Spine CT; sagittal view
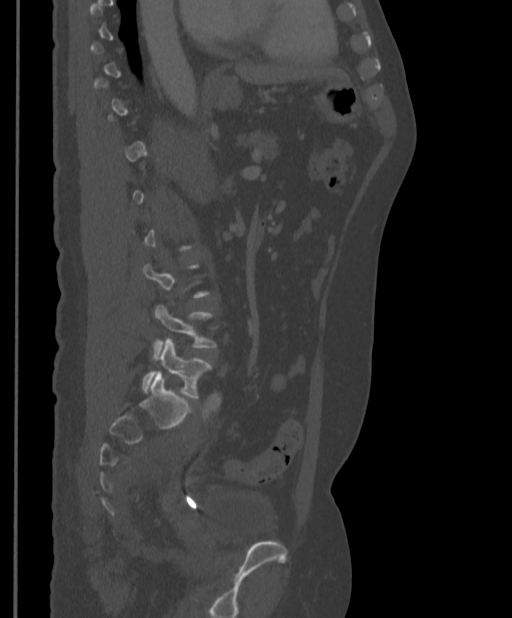 Bounding boxes as [x1, y1, x2, y2] in pixel coordinates. A vertebra is boxed only from the first to the last slice where its cross-section is at least a third of its largest; slices outside that range leave it without a box. The labeled vertebrae in this slice are: L4 at [153, 304, 216, 355], L5 at [142, 338, 210, 398].